Spine computed tomography · 160 mm across the image · Sagittal slice 225/512 · 512x696 px
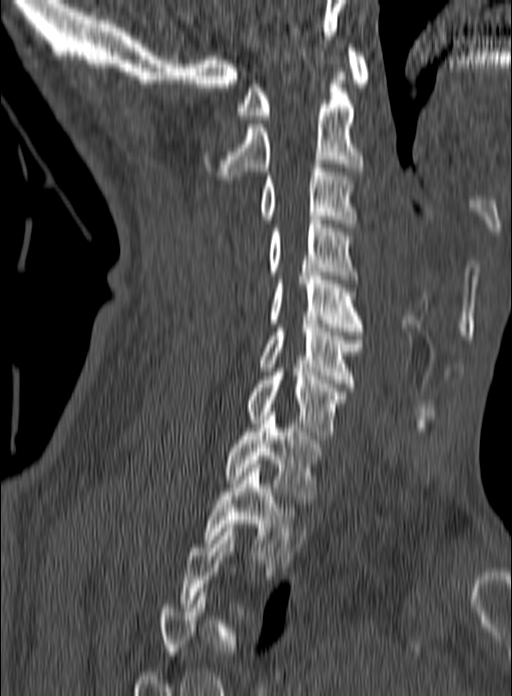
Box edges are left/top/right/bottom in pixels.
A vertebra gets a box only on the slices from the first to the last where its cross-section is at least a third of its largest; on a slice outside that range it gets none.
Vertebra bounding boxes:
- C1: left=237, top=48, right=368, bottom=119
- C2: left=202, top=72, right=362, bottom=179
- C3: left=260, top=164, right=356, bottom=227
- C4: left=268, top=220, right=358, bottom=279
- C5: left=270, top=272, right=363, bottom=335
- C6: left=260, top=320, right=362, bottom=387
- C7: left=247, top=368, right=346, bottom=439
- T1: left=225, top=412, right=320, bottom=503
- T2: left=203, top=464, right=306, bottom=567